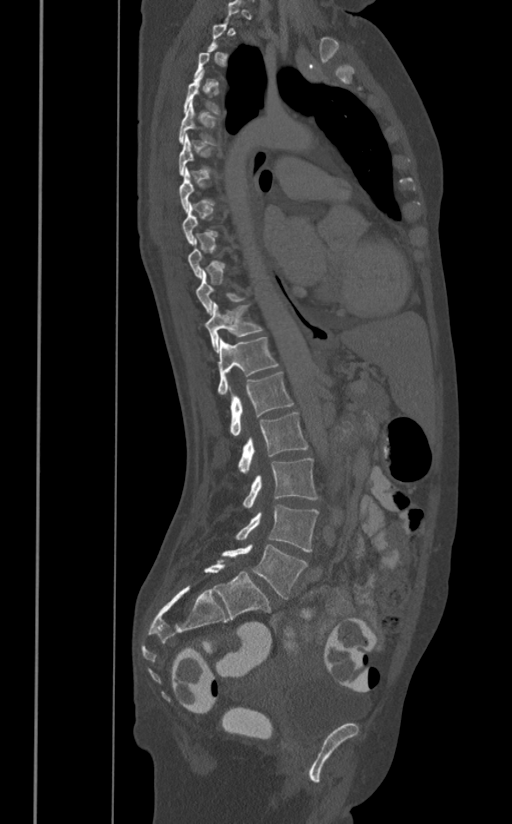

Computed tomography of the spine · sagittal view

Each vertebra maps to its box as [x1, y1, x2, y2], the pixel coordinates of its top-left and bottom-right corners.
A vertebra gets a box only on the slices from the first to the last where its cross-section is at least a third of its largest; on a slice outside that range it gets none.
{"vertebrae":{"T4":[183,70,220,113],"T5":[178,99,216,145],"T6":[178,134,212,176],"T11":[204,302,262,353],"T12":[217,337,279,395],"L1":[230,372,293,436],"L2":[238,412,308,473],"L3":[243,458,318,508],"L4":[235,504,318,552],"L5":[222,544,307,599]}}